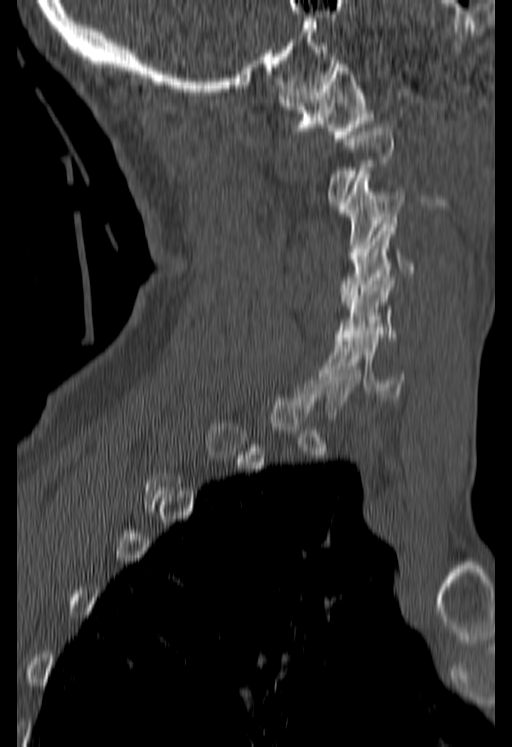

CT, spine; sagittal view; bone-window reconstruction
Boxes: x1:y1:x2:y2 in pixels.
Not every vertebra on this slice has a box: a vertebra is boxed only from the first to the last slice where its cross-section is at least a third of its largest, and this slice is outside that range for at least one of them.
Vertebra bounding boxes:
- C1: 278:60:372:141
- C3: 338:171:404:259
- C4: 339:220:415:301
- C5: 336:274:397:340
- C6: 325:331:405:397